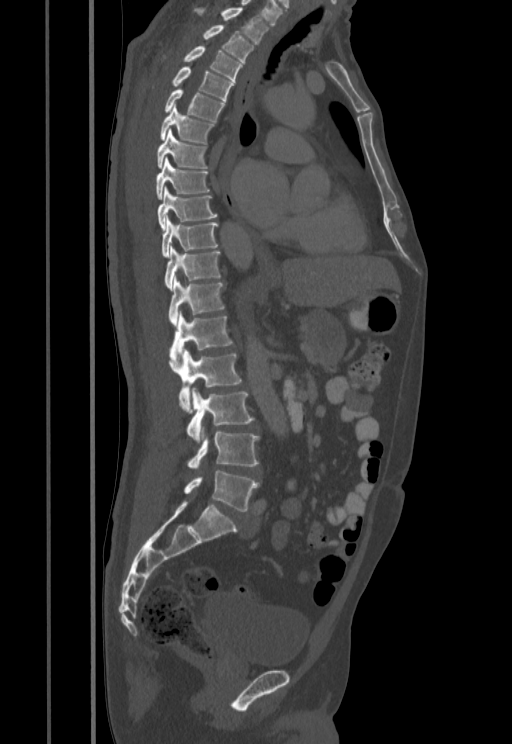 CT. sagittal reformat
<vertebrae><v name="L5" x1="183" y1="471" x2="259" y2="511"/><v name="L4" x1="187" y1="432" x2="259" y2="467"/><v name="L3" x1="187" y1="387" x2="254" y2="442"/><v name="L2" x1="168" y1="347" x2="242" y2="413"/><v name="L1" x1="170" y1="311" x2="233" y2="363"/><v name="T12" x1="169" y1="277" x2="225" y2="324"/><v name="T11" x1="164" y1="246" x2="221" y2="290"/><v name="T10" x1="161" y1="215" x2="218" y2="256"/><v name="T9" x1="157" y1="187" x2="217" y2="228"/><v name="T8" x1="155" y1="158" x2="209" y2="199"/><v name="T7" x1="156" y1="128" x2="207" y2="168"/><v name="T6" x1="160" y1="105" x2="215" y2="144"/><v name="T5" x1="164" y1="89" x2="225" y2="121"/><v name="T4" x1="152" y1="66" x2="234" y2="102"/><v name="T3" x1="161" y1="46" x2="242" y2="81"/><v name="T2" x1="202" y1="25" x2="253" y2="62"/><v name="T1" x1="193" y1="7" x2="269" y2="44"/></vertebrae>